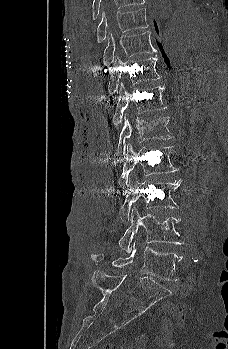
Spine computed tomography. 228 mm wide. sagittal reformat. bone window. 228x349 px

Coordinates as <box>x1,y1,x2,y2</box>.
Vertebra bounding boxes:
- T9: <box>97,8,148,42</box>
- T10: <box>103,31,156,66</box>
- T11: <box>108,54,161,95</box>
- T12: <box>112,82,166,128</box>
- L1: <box>115,113,173,161</box>
- L2: <box>118,143,178,195</box>
- L3: <box>119,173,182,222</box>
- L4: <box>118,207,184,252</box>
- L5: <box>90,241,182,280</box>